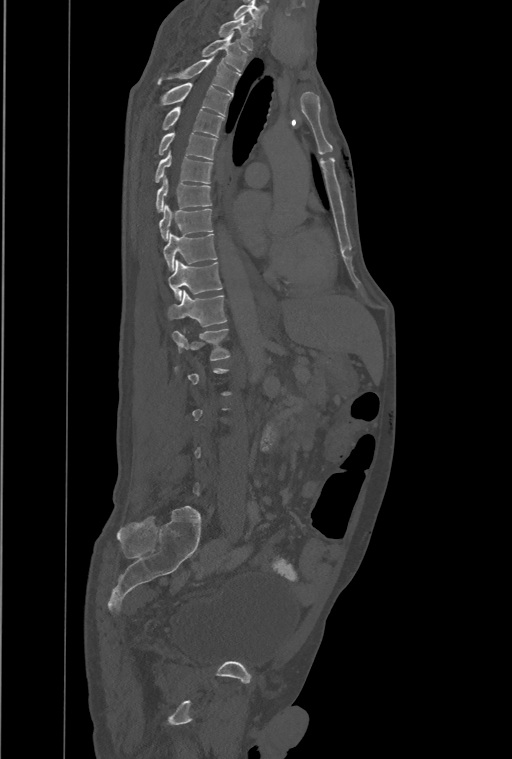 CT, spine. sagittal view. W/L 1800/400 HU. 512x759 px
A vertebra gets a box only on the slices from the first to the last where its cross-section is at least a third of its largest; on a slice outside that range it gets none.
The highest labeled vertebra in this scan is T1; the lowest is L4.
The labels name an extra thoracic vertebra here, T13, which comes after T12 and before L1.
<vertebrae><v name="T1" x1="218" y1="16" x2="253" y2="50"/><v name="T2" x1="201" y1="34" x2="247" y2="71"/><v name="T3" x1="157" y1="58" x2="239" y2="94"/><v name="T4" x1="162" y1="82" x2="231" y2="115"/><v name="T5" x1="163" y1="107" x2="223" y2="137"/><v name="T6" x1="158" y1="131" x2="216" y2="159"/><v name="T7" x1="155" y1="150" x2="212" y2="183"/><v name="T8" x1="156" y1="176" x2="211" y2="211"/><v name="T9" x1="160" y1="204" x2="212" y2="240"/><v name="T10" x1="163" y1="234" x2="216" y2="270"/><v name="T11" x1="167" y1="260" x2="222" y2="299"/><v name="T12" x1="168" y1="290" x2="226" y2="326"/><v name="T13" x1="172" y1="329" x2="228" y2="360"/></vertebrae>